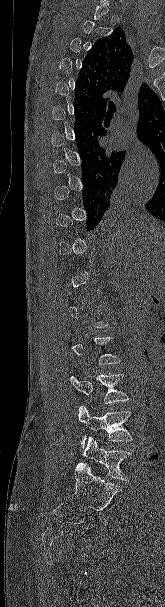 Spine CT · sagittal view
Each box given as x1,y1,x2,y2.
A vertebra gets a box only on the slices from the first to the last where its cross-section is at least a third of its largest; on a slice outside that range it gets none.
| vertebra | x1 | y1 | x2 | y2 |
|---|---|---|---|---|
| L5 | 83 | 436 | 131 | 480 |
| L4 | 77 | 405 | 132 | 447 |
| L3 | 69 | 374 | 128 | 403 |